Spine computed tomography; sagittal reformat; 403 mm image width
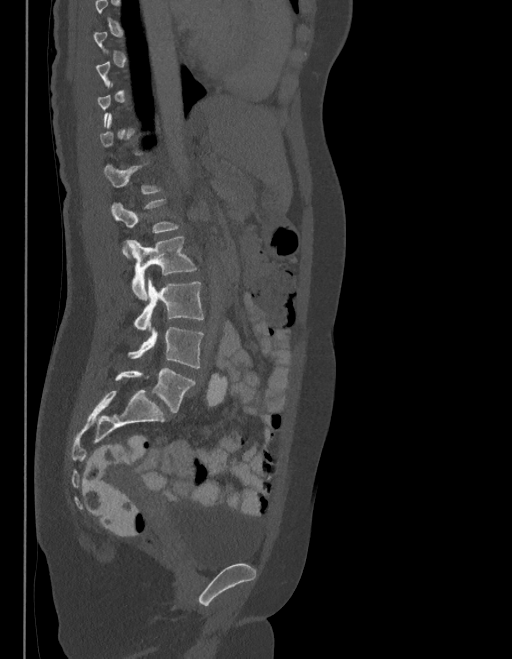

A vertebra is boxed only from the first to the last slice where its cross-section is at least a third of its largest; slices outside that range leave it without a box.
These labels give the spine a sixth lumbar vertebra, L6, below L5.
<vertebrae><v name="L1" x1="104" y1="162" x2="161" y2="195"/><v name="L2" x1="112" y1="199" x2="178" y2="257"/><v name="L3" x1="128" y1="236" x2="196" y2="300"/><v name="L4" x1="133" y1="280" x2="203" y2="329"/><v name="L5" x1="128" y1="327" x2="203" y2="368"/><v name="L6" x1="115" y1="368" x2="195" y2="413"/></vertebrae>